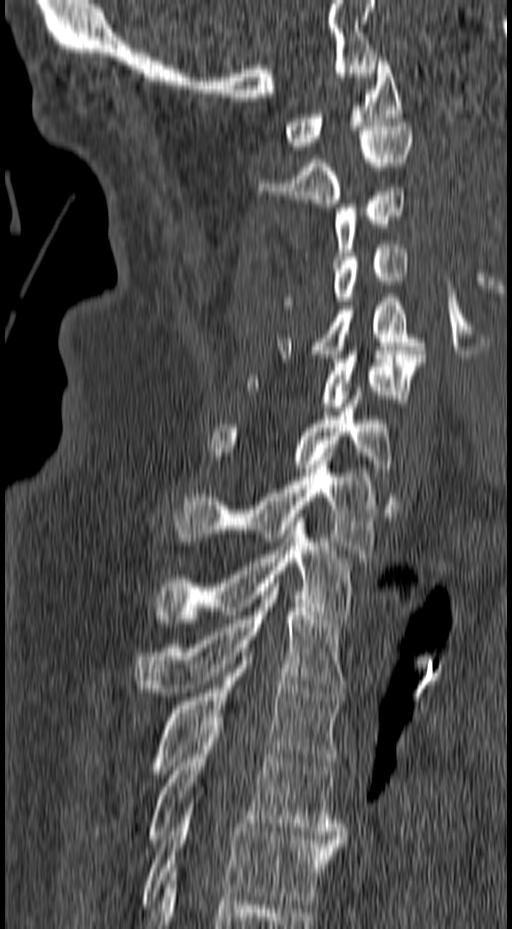

CT spine — sagittal view — 512x929 px — the image spans 157 mm across
<vertebrae><v name="C1" x1="285" y1="57" x2="401" y2="150"/><v name="C2" x1="259" y1="122" x2="413" y2="207"/><v name="C3" x1="334" y1="188" x2="405" y2="260"/><v name="C4" x1="282" y1="241" x2="408" y2="309"/><v name="C5" x1="277" y1="294" x2="424" y2="358"/><v name="C6" x1="245" y1="351" x2="425" y2="415"/><v name="C7" x1="207" y1="387" x2="392" y2="484"/><v name="T1" x1="174" y1="461" x2="379" y2="557"/><v name="T2" x1="154" y1="518" x2="352" y2="623"/><v name="T3" x1="133" y1="583" x2="346" y2="692"/><v name="T4" x1="148" y1="656" x2="343" y2="774"/><v name="T5" x1="147" y1="726" x2="346" y2="839"/><v name="T6" x1="143" y1="787" x2="343" y2="904"/></vertebrae>